CT. Sagittal slice 122/228. Bone window (WL 400, WW 1800). 228x349 px. scan covers 9 annotated vertebrae
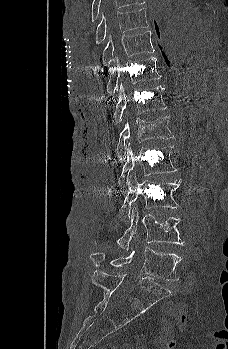 Each box given as x1,y1,x2,y2.
T9: x1=95, y1=8, x2=148, y2=43
T10: x1=101, y1=31, x2=155, y2=66
T11: x1=106, y1=57, x2=161, y2=95
T12: x1=112, y1=83, x2=167, y2=128
L1: x1=115, y1=116, x2=173, y2=157
L2: x1=118, y1=142, x2=177, y2=187
L3: x1=119, y1=173, x2=181, y2=222
L4: x1=95, y1=207, x2=184, y2=250
L5: x1=90, y1=247, x2=182, y2=280